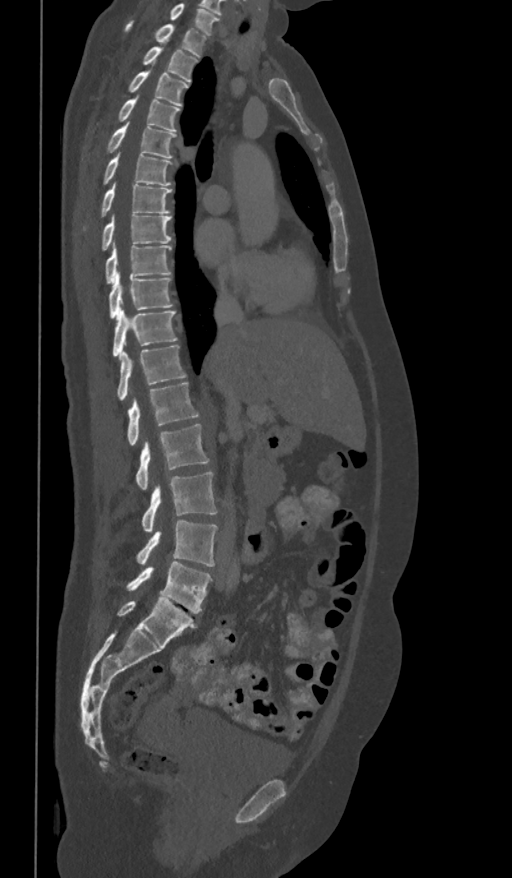
CT, spine; sagittal view; bone window; 512x878 px

Each row gives a vertebra's box as x1, y1, x2, y2 in pixels: top-left corner, then bottom-right corner.
In this scan, the topmost labeled vertebra is T1 and the lowest is L5.
| vertebra | x1 | y1 | x2 | y2 |
|---|---|---|---|---|
| T1 | 125 | 20 | 207 | 56 |
| T2 | 142 | 47 | 197 | 82 |
| T3 | 127 | 71 | 189 | 106 |
| T4 | 116 | 97 | 180 | 132 |
| T5 | 105 | 123 | 176 | 159 |
| T6 | 103 | 154 | 173 | 185 |
| T7 | 82 | 184 | 172 | 230 |
| T8 | 100 | 214 | 172 | 250 |
| T9 | 105 | 244 | 170 | 284 |
| T10 | 109 | 273 | 173 | 318 |
| T11 | 112 | 308 | 177 | 356 |
| T12 | 116 | 345 | 186 | 401 |
| L1 | 127 | 382 | 199 | 444 |
| L2 | 136 | 425 | 209 | 489 |
| L3 | 142 | 471 | 217 | 531 |
| L4 | 136 | 520 | 217 | 567 |
| L5 | 126 | 562 | 212 | 613 |